Spine CT — sagittal reformat
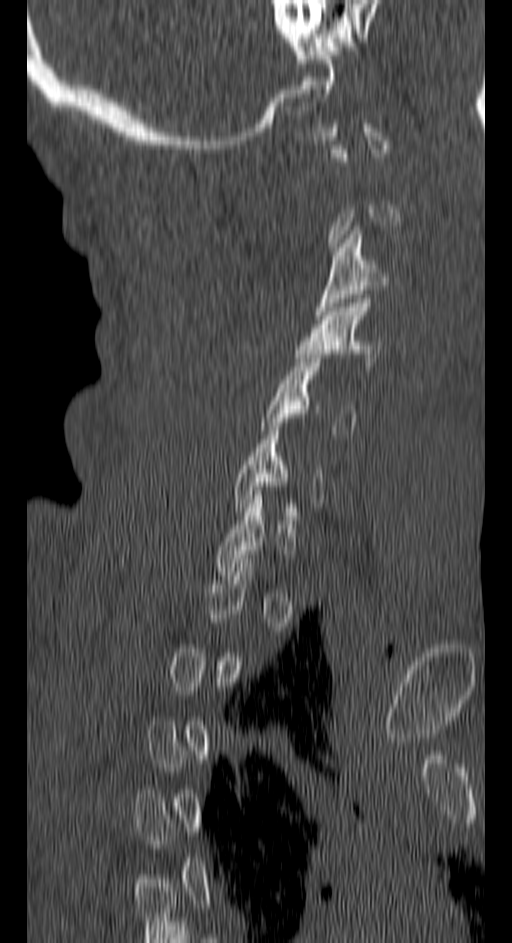
Boxes: x1 y1 x2 y2 (pixel coords, space-separated).
Each vertebra is boxed only on the slices from the first to the last where its cross-section reaches a third of its largest, so a slice outside that range leaves it unboxed.
C3: 314 226 386 319
C4: 295 299 380 370
C5: 261 354 355 434